CT spine; sagittal plane, index 261
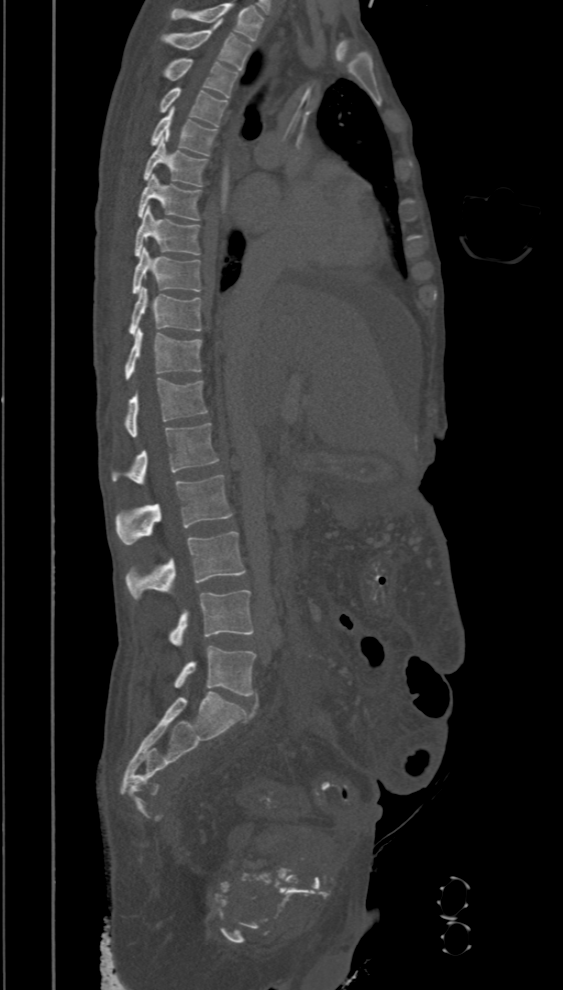
Box edges are left/top/right/bottom in pixels.
The highest labeled vertebra in this scan is T2; the lowest is L5.
Vertebra bounding boxes:
- T2: left=159, top=23, right=252, bottom=69
- T3: left=162, top=58, right=238, bottom=98
- T4: left=158, top=87, right=228, bottom=126
- T5: left=150, top=107, right=218, bottom=155
- T6: left=143, top=136, right=208, bottom=186
- T7: left=137, top=175, right=201, bottom=221
- T8: left=134, top=206, right=200, bottom=256
- T9: left=131, top=247, right=201, bottom=294
- T10: left=129, top=287, right=201, bottom=335
- T11: left=124, top=329, right=202, bottom=381
- T12: left=124, top=377, right=208, bottom=436
- L1: left=111, top=423, right=219, bottom=484
- L2: left=115, top=475, right=232, bottom=544
- L3: left=125, top=532, right=244, bottom=599
- L4: left=169, top=590, right=253, bottom=646
- L5: left=174, top=646, right=256, bottom=696